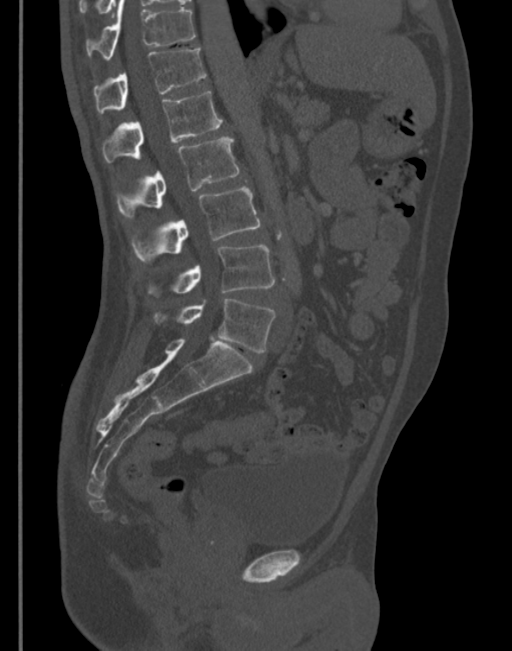 CT spine. sagittal view. Boxes: x1:y1:x2:y2 in pixels.
L5: 156:299:275:352
L4: 150:245:275:295
L3: 133:186:260:261
L2: 117:138:239:216
L1: 102:91:223:162
T12: 93:49:207:113
T11: 86:0:195:60